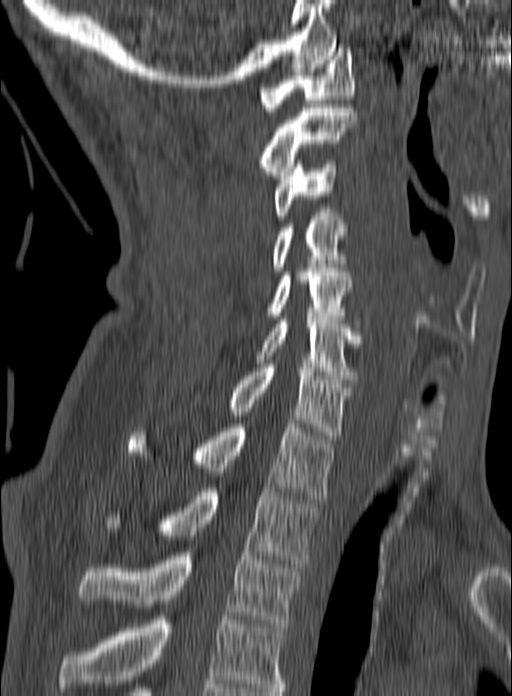
Computed tomography of the spine · sagittal view · Bone window (WL 400, WW 1800) · the image is 160 mm wide

The highest labeled vertebra in this scan is C1; the lowest is T3.
<vertebrae><v name="C1" x1="259" y1="48" x2="355" y2="111"/><v name="C2" x1="260" y1="104" x2="357" y2="179"/><v name="C3" x1="273" y1="160" x2="336" y2="219"/><v name="C4" x1="273" y1="212" x2="346" y2="271"/><v name="C5" x1="268" y1="268" x2="352" y2="319"/><v name="C6" x1="256" y1="320" x2="363" y2="383"/><v name="C7" x1="228" y1="364" x2="350" y2="439"/><v name="T1" x1="129" y1="420" x2="335" y2="499"/><v name="T2" x1="107" y1="488" x2="317" y2="567"/><v name="T3" x1="78" y1="552" x2="301" y2="627"/></vertebrae>